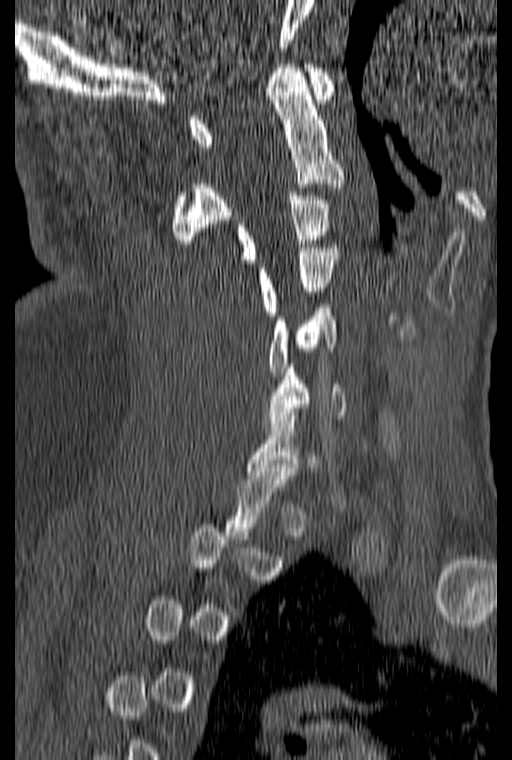
CT · sagittal view · 512x760 px
Boxes are (x1, y1, x2, y2) in pixels.
Each vertebra is boxed only on the slices from the first to the last where its cross-section reaches a third of its largest, so a slice outside that range leaves it unboxed.
C1: (189, 64, 334, 147)
C2: (172, 64, 343, 247)
C3: (237, 192, 330, 263)
C4: (257, 244, 337, 315)
C5: (267, 300, 336, 379)
C6: (264, 364, 346, 427)